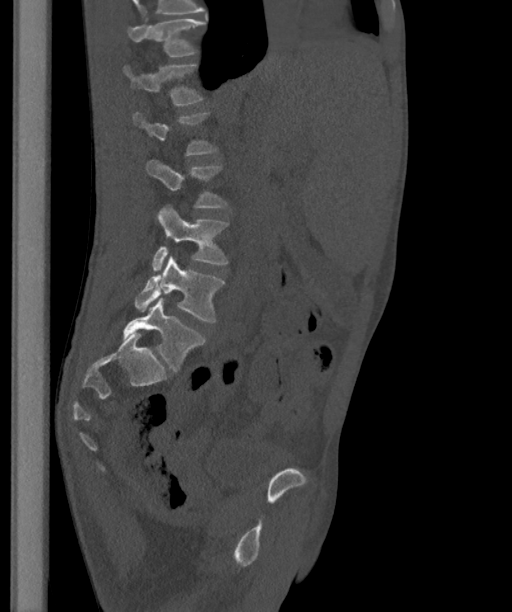
CT spine. sagittal view. 512x612 px

Coordinates as <box>x1,y1,x2,y2</box>. A vertebra is boxed only from the first to the last slice where its cross-section is at least a third of its largest; slices outside that range leave it without a box. Labels in this scan begin with T12 at the top and end with L6 at the bottom. These labels give the spine a sixth lumbar vertebra, L6, below L5. The labeled vertebrae in this slice are: T12 at <box>128,18,205,56</box>, L1 at <box>123,65,202,106</box>, L3 at <box>145,160,226,207</box>, L4 at <box>152,204,227,271</box>, L5 at <box>134,255,224,321</box>, L6 at <box>123,297,205,371</box>.